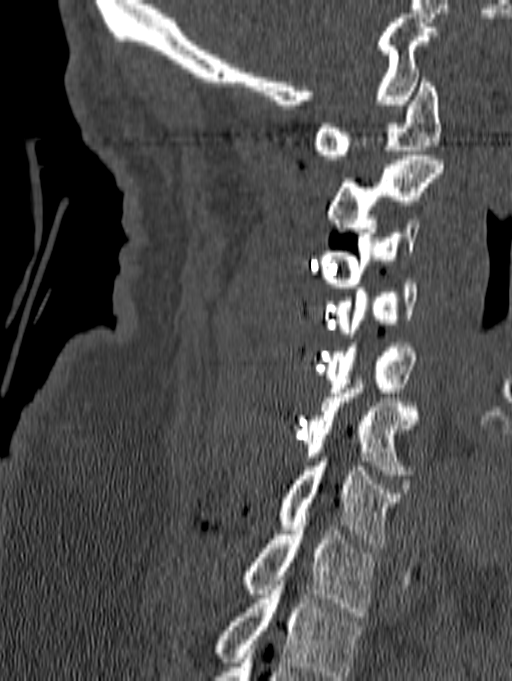

CT spine; sagittal view; W/L 1800/400 HU
Bounding boxes as [x1, y1, x2, y2] in pixel coordinates. Labels in this scan begin with C1 at the top and end with T1 at the bottom. 8 vertebrae labeled — T1 at [243, 526, 374, 616]; C7 at [279, 457, 403, 548]; C6 at [301, 379, 419, 474]; C5 at [325, 343, 416, 392]; C4 at [336, 279, 417, 337]; C3 at [320, 219, 419, 287]; C2 at [327, 155, 443, 232]; C1 at [314, 78, 441, 159].